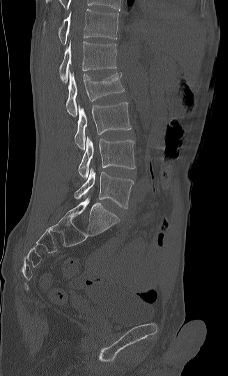

Spine computed tomography — sagittal view — W/L 1800/400 HU
Boxes are (x1, y1, x2, y2) in pixels.
In this scan, the topmost labeled vertebra is L1 and the lowest is L5.
Vertebra bounding boxes:
- L5: (74, 167, 133, 208)
- L4: (78, 135, 135, 178)
- L3: (74, 102, 131, 149)
- L2: (66, 70, 124, 116)
- L1: (59, 40, 116, 83)